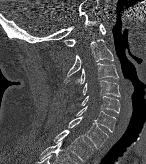
Computed tomography of the spine · sagittal view · 146x164 px. Each box given as x1,y1,x2,y2.
| vertebra | x1 | y1 | x2 | y2 |
|---|---|---|---|---|
| C1 | 64 | 24 | 106 | 46 |
| C2 | 63 | 38 | 114 | 83 |
| C3 | 75 | 63 | 118 | 84 |
| C4 | 82 | 80 | 120 | 96 |
| C5 | 81 | 95 | 120 | 113 |
| C6 | 76 | 106 | 115 | 132 |
| C7 | 68 | 117 | 108 | 148 |
| T1 | 54 | 130 | 92 | 162 |